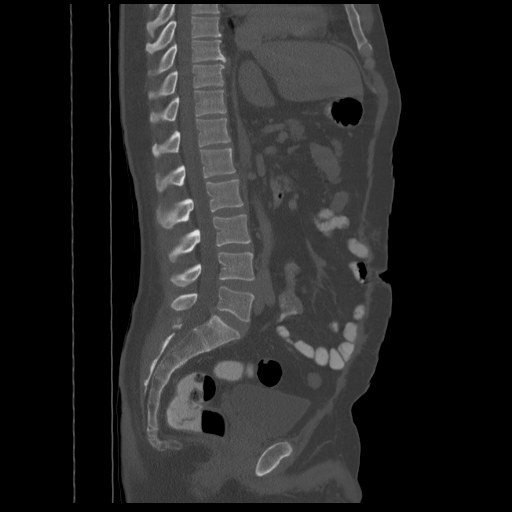
CT, spine. image width 548 mm. sagittal reformat. Bone window (WL 400, WW 1800)

Each box given as x1,y1,x2,y2.
Labels in this scan begin with T8 at the top and end with L5 at the bottom.
| vertebra | x1 | y1 | x2 | y2 |
|---|---|---|---|---|
| L5 | 171 | 286 | 253 | 321 |
| L4 | 171 | 252 | 254 | 286 |
| L3 | 168 | 214 | 250 | 261 |
| L2 | 157 | 179 | 243 | 228 |
| L1 | 156 | 148 | 235 | 191 |
| T12 | 152 | 118 | 230 | 157 |
| T11 | 149 | 90 | 226 | 122 |
| T10 | 149 | 64 | 224 | 98 |
| T9 | 148 | 40 | 225 | 75 |
| T8 | 146 | 16 | 220 | 53 |